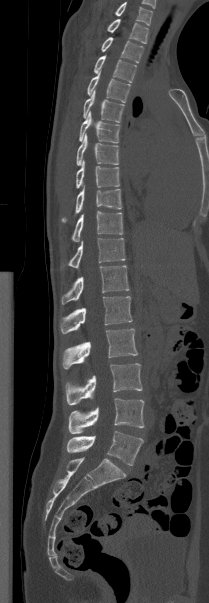
CT spine; sagittal view

Boxes below are [x1, y1, x2, y2] in pixels.
Labels in this scan begin with T1 at the top and end with L5 at the bottom.
{"vertebrae":{"L5":[66,431,143,465],"L4":[68,398,144,434],"L3":[65,363,142,405],"L2":[62,329,137,368],"L1":[60,296,132,333],"T12":[61,265,129,304],"T11":[69,238,125,268],"T10":[71,211,123,241],"T9":[62,186,121,222],"T8":[76,160,119,188],"T7":[76,134,119,165],"T6":[79,112,120,143],"T5":[83,90,124,122],"T4":[87,72,130,102],"T3":[94,55,136,82],"T2":[101,37,143,63],"T1":[107,19,148,43]}}